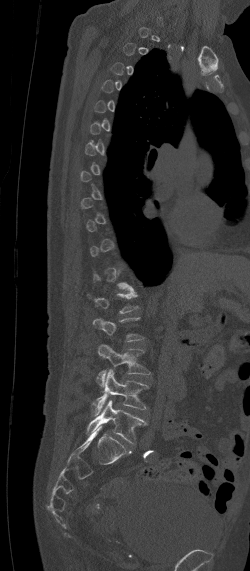

CT spine; sagittal view; Bone window (WL 400, WW 1800); 250x571 px

Each vertebra maps to its box as [x1, y1, x2, y2], the pixel coordinates of its top-left and bottom-right corners.
Each vertebra is boxed only on the slices from the first to the last where its cross-section reaches a third of its largest, so a slice outside that range leaves it unboxed.
{"vertebrae":{"L3":[95,344,149,386],"L4":[89,369,149,415],"L5":[85,400,148,443]}}